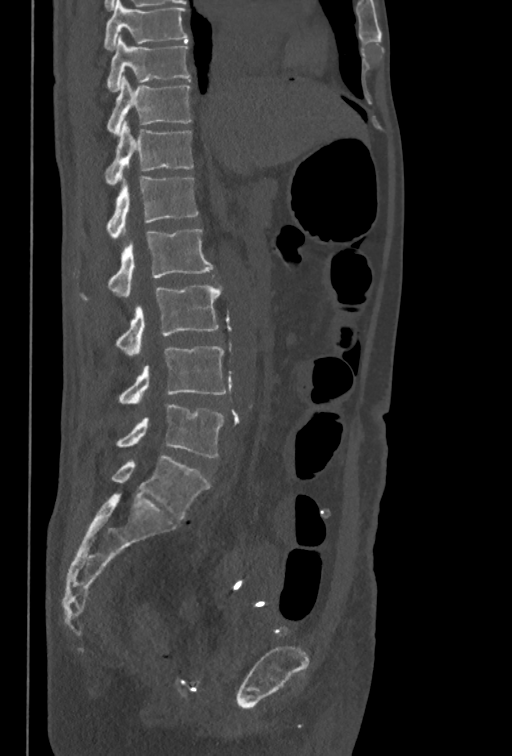 CT, spine; sagittal view; 512x756 px
Box edges are left/top/right/bottom in pixels.
In this scan, the topmost labeled vertebra is T10 and the lowest is L5.
T10: left=107, top=36, right=190, bottom=91
T11: left=107, top=75, right=192, bottom=136
T12: left=105, top=121, right=193, bottom=185
L1: left=107, top=176, right=198, bottom=239
L2: left=81, top=229, right=213, bottom=300
L3: left=115, top=284, right=221, bottom=356
L4: left=118, top=346, right=226, bottom=403
L5: left=117, top=404, right=224, bottom=457